CT · sagittal plane, index 113 · bone window · 250x571 px
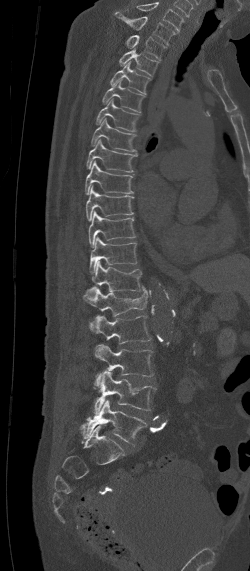
Box edges are left/top/right/bottom in pixels.
Labels in this scan begin with C7 at the top and end with L5 at the bottom.
L5: left=79, top=400, right=147, bottom=443
L4: left=93, top=370, right=156, bottom=413
L3: left=94, top=345, right=153, bottom=376
L2: left=92, top=315, right=150, bottom=343
L1: left=86, top=286, right=147, bottom=329
T12: left=83, top=260, right=143, bottom=299
T11: left=89, top=237, right=137, bottom=274
T10: left=89, top=210, right=135, bottom=247
T9: left=86, top=186, right=132, bottom=220
T8: left=85, top=161, right=134, bottom=194
T7: left=87, top=139, right=137, bottom=172
T6: left=90, top=117, right=137, bottom=152
T5: left=94, top=98, right=139, bottom=132
T4: left=102, top=79, right=144, bottom=112
T3: left=110, top=61, right=151, bottom=94
T2: left=119, top=49, right=159, bottom=76
T1: left=125, top=35, right=167, bottom=60
C7: left=115, top=12, right=175, bottom=45